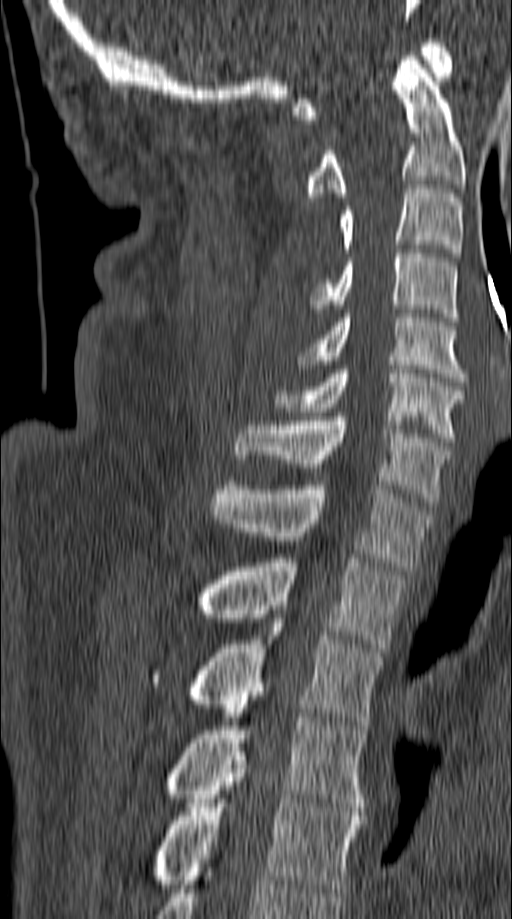

CT; sagittal view; W/L 1800/400 HU; 512x919 px
Boxes: x1:y1:x2:y2 in pixels.
Vertebra bounding boxes:
- T5: 152:752:364:892
- T4: 163:700:367:811
- T3: 152:619:382:725
- T2: 197:558:406:652
- T1: 211:481:430:570
- C7: 235:412:450:502
- C6: 275:365:464:441
- C5: 298:314:467:381
- C4: 310:249:457:321
- C3: 338:185:461:257
- C2: 304:56:464:201
- C1: 293:39:452:119